CT spine — sagittal reformat — image 500 mm wide — 556x600 px
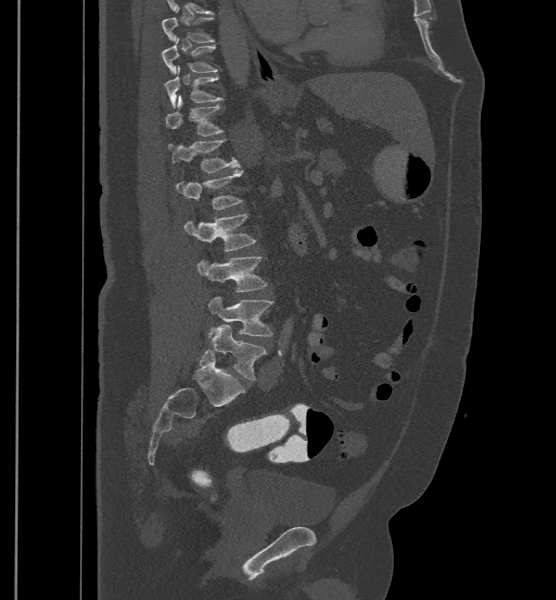
In these labels the spine has an L6, a sixth lumbar vertebra below L5.
<vertebrae><v name="T9" x1="161" y1="7" x2="215" y2="42"/><v name="T10" x1="161" y1="38" x2="217" y2="73"/><v name="T11" x1="165" y1="66" x2="223" y2="107"/><v name="T12" x1="166" y1="95" x2="223" y2="136"/><v name="L1" x1="168" y1="139" x2="239" y2="172"/><v name="L2" x1="176" y1="170" x2="242" y2="209"/><v name="L3" x1="184" y1="213" x2="256" y2="251"/><v name="L4" x1="196" y1="256" x2="267" y2="291"/><v name="L5" x1="207" y1="297" x2="272" y2="336"/><v name="L6" x1="211" y1="324" x2="266" y2="380"/></vertebrae>